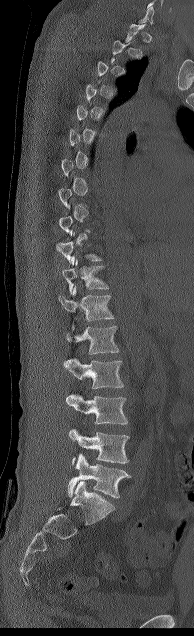

Computed tomography of the spine — sagittal reformat — bone window
Columns x1, y1, x2, y2 give each box's top-left and bottom-right pixels.
A vertebra is boxed only from the first to the last slice where its cross-section is at least a third of its largest; slices outside that range leave it without a box.
| vertebra | x1 | y1 | x2 | y2 |
|---|---|---|---|---|
| T11 | 62 | 258 | 108 | 293 |
| T12 | 59 | 285 | 114 | 321 |
| L1 | 64 | 323 | 119 | 366 |
| L2 | 65 | 358 | 123 | 388 |
| L3 | 66 | 394 | 128 | 424 |
| L4 | 69 | 429 | 129 | 464 |
| L5 | 68 | 454 | 131 | 498 |